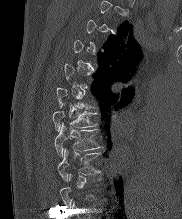 Spine computed tomography; image width 182 mm; sagittal view; bone window
Box edges are left/top/right/bottom in pixels.
Not every vertebra on this slice has a box: a vertebra is boxed only from the first to the last slice where its cross-section is at least a third of its largest, and this slice is outside that range for at least one of them.
T7: left=52, top=111, right=96, bottom=130
T8: left=54, top=124, right=99, bottom=155
T9: left=57, top=149, right=100, bottom=180